Spine computed tomography · sagittal view · W/L 1800/400 HU · image 399 mm wide · 512x637 px
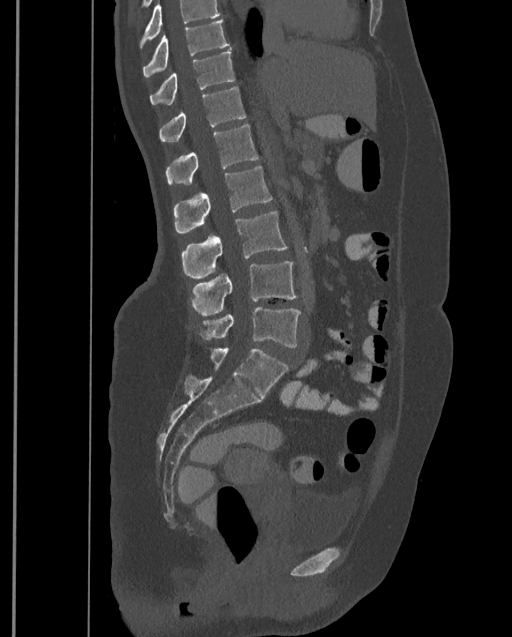
Each box given as x1,y1,x2,y2.
A vertebra cut off by the top edge of the scan is not labeled and has no box.
Labels in this scan begin with T9 at the top and end with L4 at the bottom.
| vertebra | x1 | y1 | x2 | y2 |
|---|---|---|---|---|
| T9 | 142 | 20 | 230 | 78 |
| T10 | 150 | 49 | 235 | 104 |
| T11 | 159 | 87 | 245 | 141 |
| T12 | 165 | 125 | 258 | 185 |
| L1 | 173 | 165 | 272 | 232 |
| L2 | 182 | 211 | 288 | 277 |
| L3 | 190 | 262 | 297 | 315 |
| L4 | 197 | 306 | 300 | 347 |